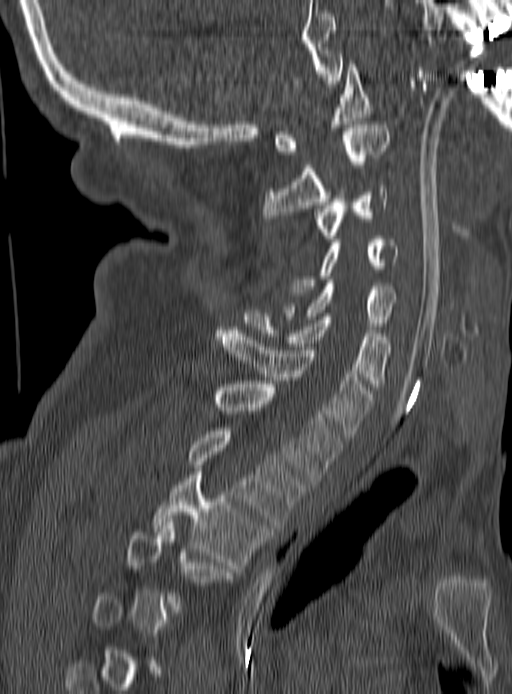
CT, spine · sagittal view · 512x694 px. Boxes: x1 y1 x2 y2 (pixel coords, space-separated).
A vertebra is boxed only from the first to the last slice where its cross-section is at least a third of its largest; slices outside that range leave it without a box.
Vertebra bounding boxes:
- C1: 276 64 372 154
- C2: 262 121 388 221
- C3: 316 185 388 242
- C4: 289 236 397 299
- C5: 285 283 396 326
- C6: 243 310 391 386
- C7: 216 330 372 437
- T1: 214 381 342 484
- T2: 189 428 304 528
- T3: 152 472 267 568
- T4: 128 522 234 612